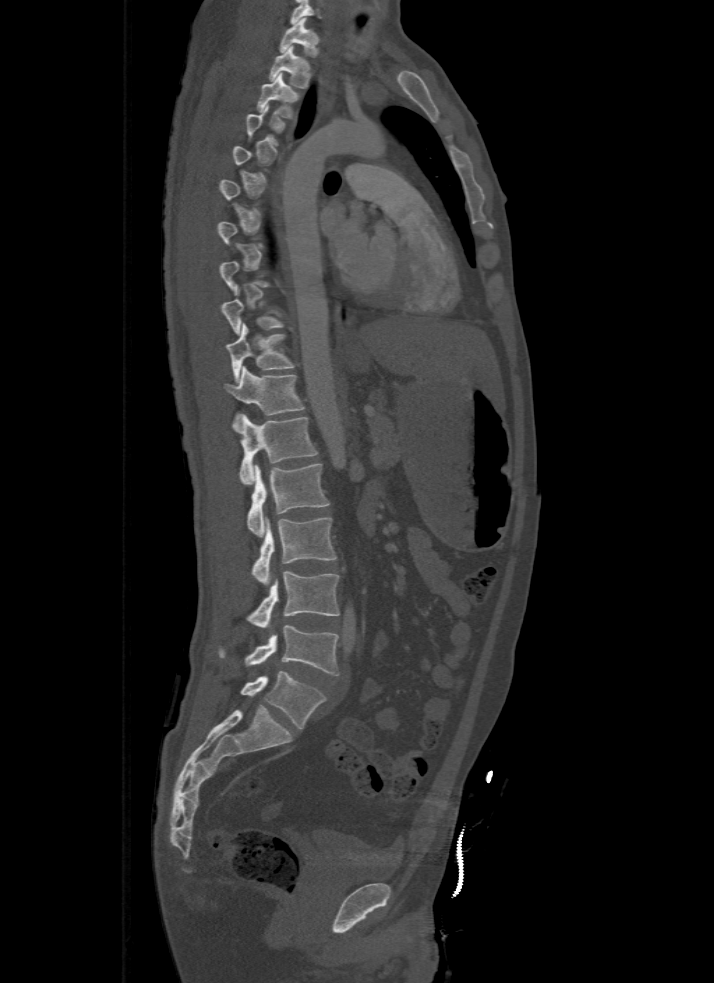
Computed tomography of the spine — 500 mm across the image — sagittal reformat
Box values are [left, top, right, bottom] in pixels.
Not every vertebra on this slice has a box: a vertebra is boxed only from the first to the last slice where its cross-section is at least a third of its largest, and this slice is outside that range for at least one of them.
Labels in this scan begin with T1 at the top and end with L5 at the bottom.
{"vertebrae":{"L5":[240,670,325,729],"L4":[218,625,339,675],"L3":[246,572,339,627],"L2":[251,518,337,585],"L1":[247,463,330,537],"T12":[239,415,317,484],"T11":[225,366,305,433],"T10":[227,323,296,382],"T9":[222,289,285,334],"T3":[255,73,302,119],"T2":[268,46,311,88],"T1":[279,17,320,57]}}